CT, spine. sagittal view. 512x513 px. scan covers 14 annotated vertebrae
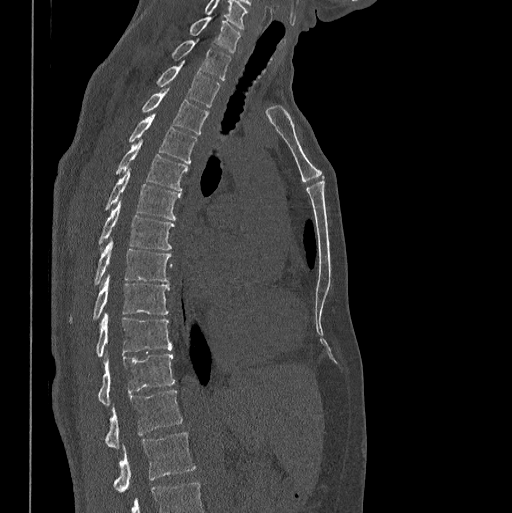
Boxes: x1:y1:x2:y2 in pixels.
In this scan, the topmost labeled vertebra is C7 and the lowest is L1.
L1: 113:432:196:492
T12: 105:389:182:447
T11: 98:353:174:405
T10: 96:314:171:357
T9: 71:274:169:320
T8: 94:239:170:284
T7: 99:200:174:249
T6: 105:168:180:220
T5: 116:140:188:190
T4: 128:112:197:163
T3: 143:88:209:133
T2: 157:61:220:107
T1: 172:41:230:80
C7: 190:16:241:52